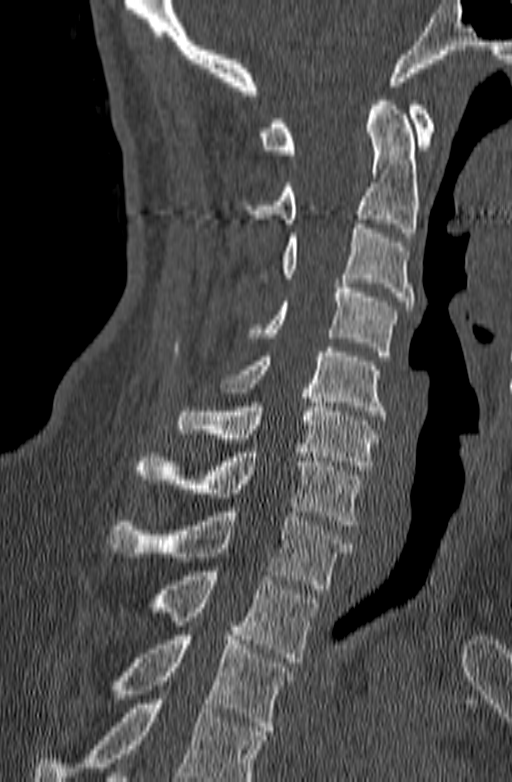

Spine CT — sagittal view — bone-window reconstruction — 512x782 px

Columns x1, y1, x2, y2 give each box's top-left and bottom-right pixels.
No box is given to a vertebra that the bottom edge of the scan cuts off.
| vertebra | x1 | y1 | x2 | y2 |
|---|---|---|---|---|
| T3 | 113 | 635 | 293 | 735 |
| T2 | 147 | 571 | 319 | 662 |
| T1 | 108 | 507 | 351 | 589 |
| C7 | 134 | 448 | 362 | 525 |
| C6 | 177 | 393 | 377 | 470 |
| C5 | 221 | 347 | 386 | 420 |
| C4 | 246 | 283 | 397 | 356 |
| C3 | 279 | 224 | 413 | 310 |
| C2 | 242 | 96 | 419 | 237 |
| C1 | 259 | 101 | 434 | 154 |